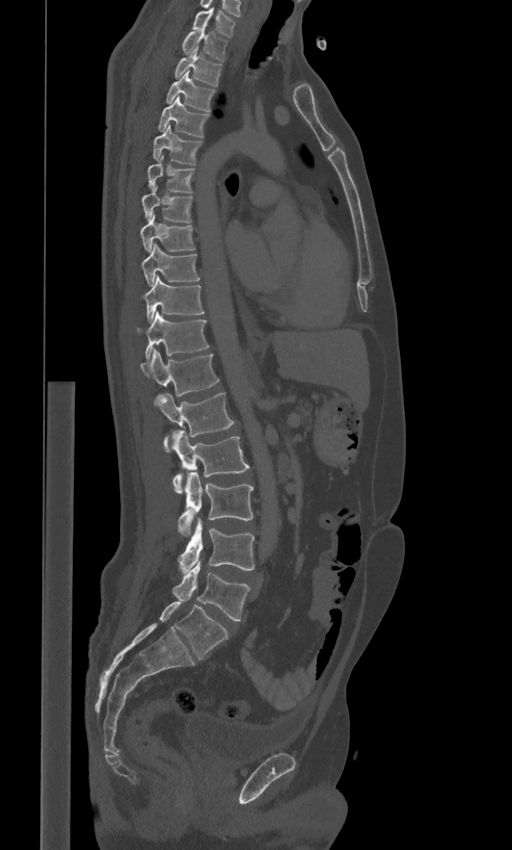

CT · 443 mm image width · sagittal view. Bounding boxes as [x1, y1, x2, y2] in pixel coordinates. These labels give the spine a sixth lumbar vertebra, L6, below L5. 19 vertebrae labeled — C7 at [193, 9, 236, 36]; T1 at [182, 28, 228, 60]; T2 at [174, 46, 222, 86]; T3 at [165, 70, 215, 111]; T4 at [158, 97, 209, 137]; T5 at [154, 125, 201, 164]; T6 at [148, 155, 194, 192]; T7 at [142, 186, 192, 223]; T8 at [140, 214, 195, 252]; T9 at [141, 243, 200, 286]; T10 at [144, 276, 203, 321]; T11 at [137, 312, 209, 359]; T12 at [141, 350, 219, 405]; L1 at [156, 392, 234, 451]; L2 at [172, 431, 249, 493]; L3 at [178, 472, 253, 536]; L4 at [178, 518, 254, 572]; L5 at [173, 562, 250, 621]; L6 at [159, 601, 228, 660].